CT spine; sagittal reformat; bone-window reconstruction
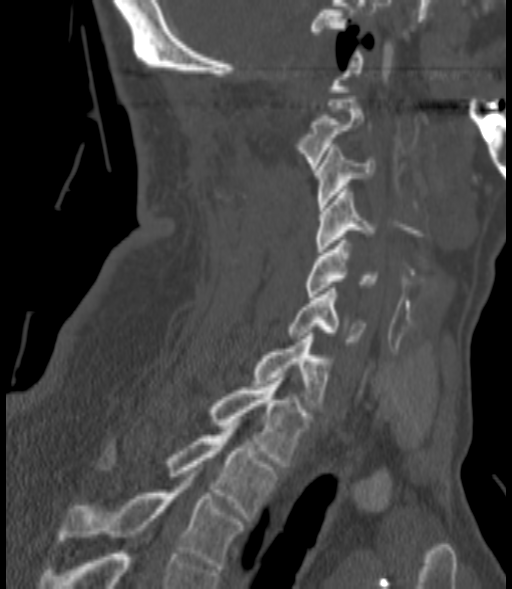
Each row gives a vertebra's box as x1, y1, x2, y2 in pixels: top-left corner, then bottom-right corner.
| vertebra | x1 | y1 | x2 | y2 |
|---|---|---|---|---|
| C2 | 295 | 96 | 363 | 169 |
| C3 | 316 | 147 | 374 | 210 |
| C4 | 316 | 189 | 374 | 252 |
| C5 | 305 | 240 | 378 | 297 |
| C6 | 288 | 288 | 365 | 345 |
| C7 | 252 | 333 | 330 | 409 |
| T1 | 208 | 378 | 310 | 466 |
| T2 | 98 | 429 | 276 | 517 |
| T3 | 60 | 480 | 243 | 569 |